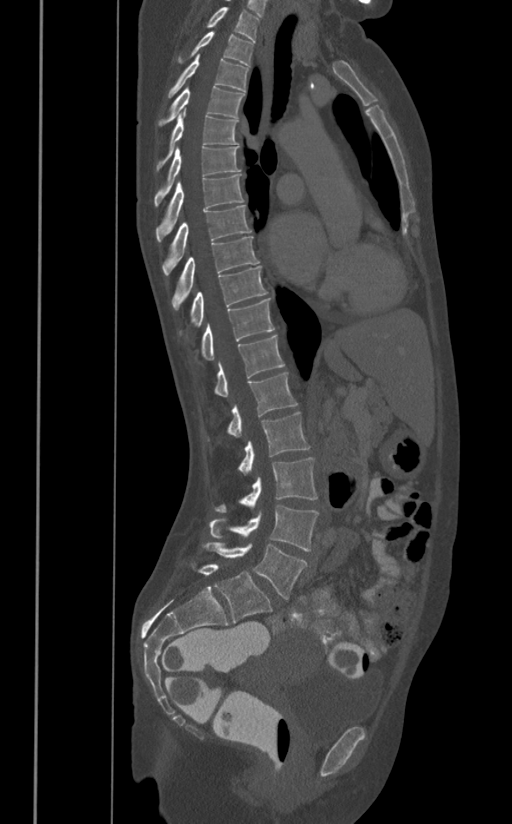

Computed tomography of the spine · 391 mm wide · sagittal view
Coordinates as <box>x1,y1,x2,y2</box>.
L5: <box>202,542,308,599</box>
L4: <box>209,504,318,551</box>
L3: <box>215,457,317,512</box>
L2: <box>237,411,309,473</box>
L1: <box>205,372,297,441</box>
T12: <box>213,334,284,396</box>
T11: <box>200,298,274,360</box>
T10: <box>190,266,267,328</box>
T9: <box>171,236,259,310</box>
T8: <box>162,204,252,275</box>
T7: <box>156,174,244,241</box>
T6: <box>154,146,240,206</box>
T5: <box>156,107,238,172</box>
T4: <box>157,86,244,126</box>
T3: <box>167,54,249,97</box>
T2: <box>179,32,253,65</box>
T1: <box>207,7,258,41</box>